Spine computed tomography — sagittal reformat — 395 mm image width
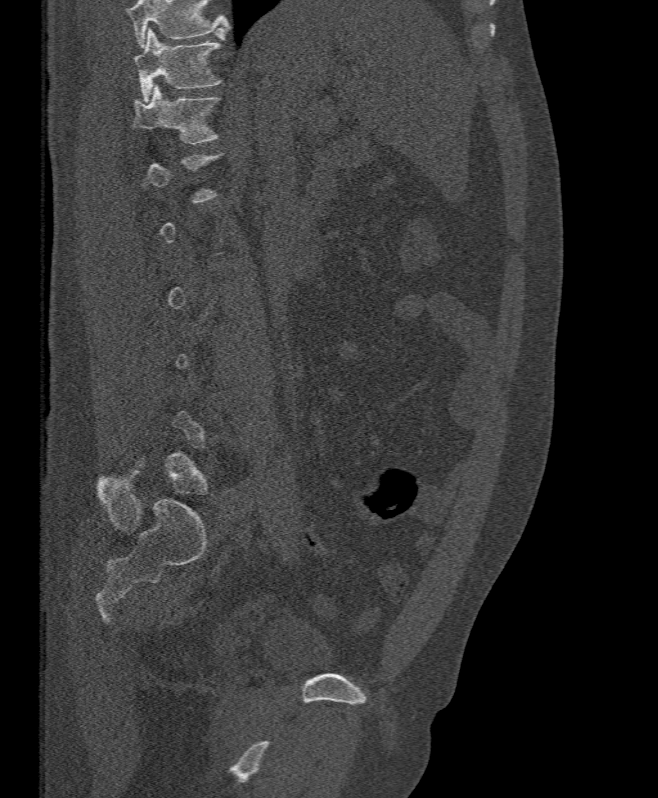 Boxes are given in columns x1, y1, x2, y2, the pixel coordinates of their top-left and bottom-right corners.
Each vertebra is boxed only on the slices from the first to the last where its cross-section reaches a third of its largest, so a slice outside that range leaves it unboxed.
No box is given to a vertebra that the top edge of the scan cuts off.
| vertebra | x1 | y1 | x2 | y2 |
|---|---|---|---|---|
| T11 | 134 | 28 | 220 | 101 |
| T12 | 130 | 85 | 219 | 144 |